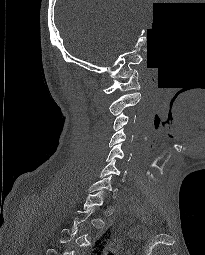

Spine CT. sagittal view. Bone window (WL 400, WW 1800). some of the image was removed or blocked out with constant pixels
Each box is [x1, y1, x2, y2] in pixels: top-left corner, then bottom-right corner.
A vertebra is boxed only from the first to the last slice where its cross-section is at least a third of its largest; slices outside that range leave it without a box.
{"vertebrae":{"C1":[103,70,140,94],"C2":[109,92,141,115],"C3":[113,112,136,130],"C4":[109,128,133,147],"C5":[106,143,131,161],"C6":[99,159,126,181],"C7":[88,175,117,197]}}